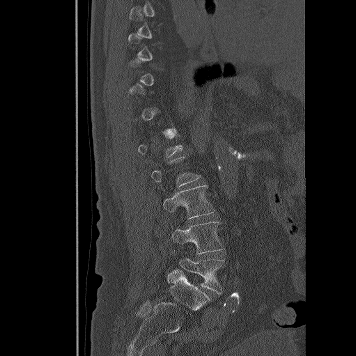 CT — the image is 356 mm wide — sagittal view

Box edges are left/top/right/bottom in pixels.
A vertebra gets a box only on the slices from the first to the last where its cross-section is at least a third of its largest; on a slice outside that range it gets none.
Vertebra bounding boxes:
- L3: left=163, top=185, right=214, bottom=218
- L4: left=171, top=221, right=222, bottom=254
- L5: left=179, top=258, right=224, bottom=293